CT spine. sagittal view. bone window
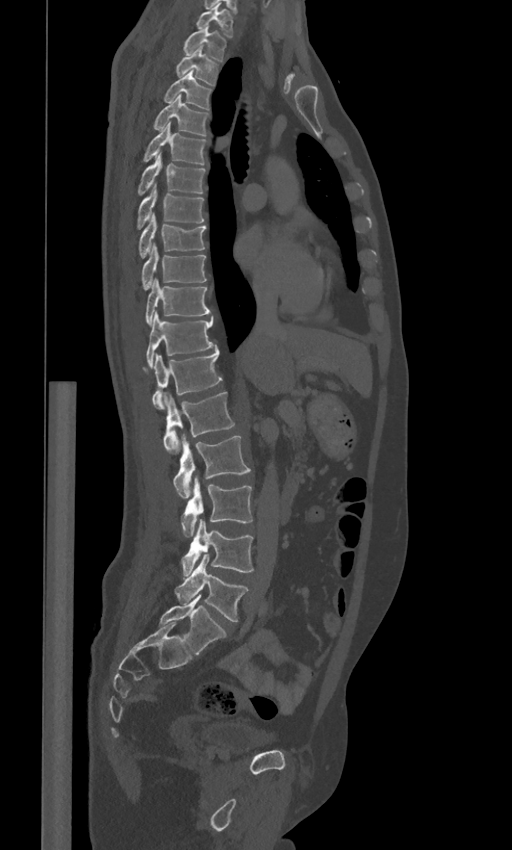 Each vertebra maps to its box as [x1, y1, x2, y2], the pixel coordinates of its top-left and bottom-right corners.
These labels give the spine a sixth lumbar vertebra, L6, below L5.
{"vertebrae":{"L6":[159,594,226,654],"L5":[174,555,249,621],"L4":[181,519,253,575],"L3":[181,477,252,537],"L2":[173,436,250,497],"L1":[163,392,235,454],"T12":[144,345,222,409],"T11":[147,311,213,367],"T10":[146,279,209,325],"T9":[141,244,206,289],"T8":[139,214,206,258],"T7":[136,185,203,228],"T6":[137,154,206,195],"T5":[142,122,207,164],"T4":[152,94,209,135],"T3":[163,71,212,109],"T2":[176,46,219,85],"T1":[183,26,227,60],"C7":[196,3,234,37]}}